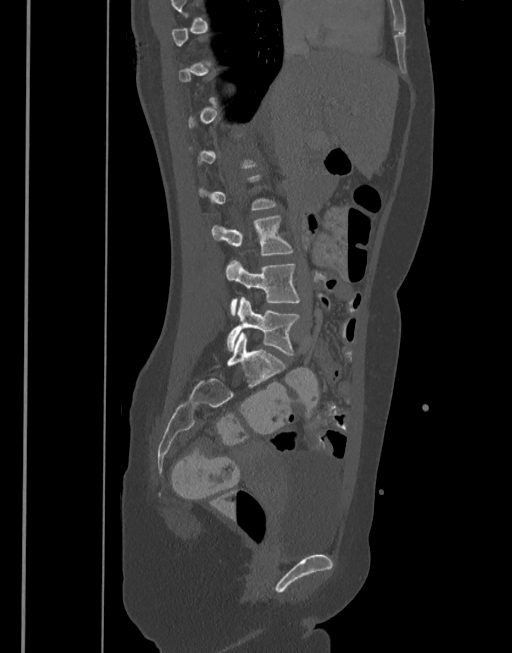
CT, spine. image 377 mm wide. sagittal view. 512x653 px

Coordinates as <box>x1,y1,x2,y2</box>.
Each vertebra is boxed only on the slices from the first to the last where its cross-section reaches a third of its largest, so a slice outside that range leaves it unboxed.
L3: <box>212,215,294,256</box>
L4: <box>225,260,299,316</box>
L5: <box>226,297,300,355</box>